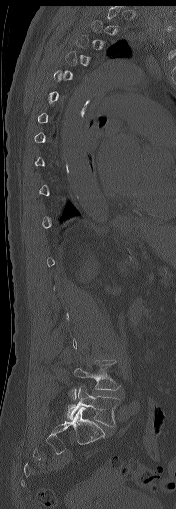
Spine CT; the image spans 176 mm across; sagittal view; Bone window (WL 400, WW 1800)
Each vertebra is boxed only on the slices from the first to the last where its cross-section reaches a third of its largest, so a slice outside that range leaves it unboxed.
<vertebrae><v name="L5" x1="67" y1="386" x2="119" y2="426"/><v name="L4" x1="71" y1="359" x2="120" y2="400"/></vertebrae>